Spine CT — sagittal plane, index 278 — bone-window reconstruction — scan covers 18 annotated vertebrae
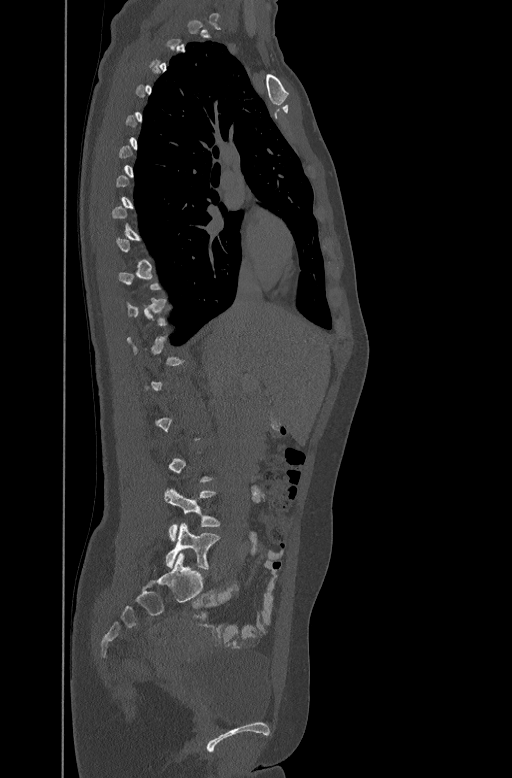

Each vertebra is boxed only on the slices from the first to the last where its cross-section reaches a third of its largest, so a slice outside that range leaves it unboxed.
<vertebrae><v name="L4" x1="164" y1="489" x2="220" y2="540"/><v name="L5" x1="166" y1="523" x2="219" y2="569"/></vertebrae>